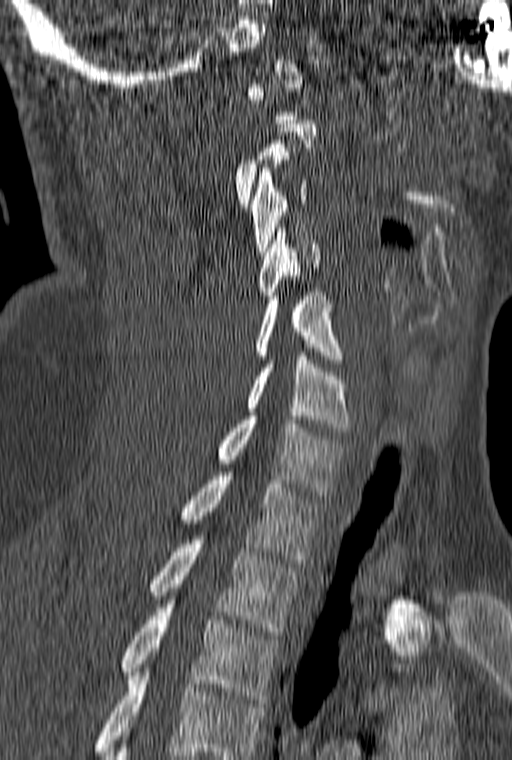

CT, spine — sagittal view — image 160 mm wide

Each row gives a vertebra's box as x1, y1, x2, y2 in pixels: top-left corner, then bottom-right corner.
Not every vertebra on this slice has a box: a vertebra is boxed only from the first to the last slice where its cross-section is at least a third of its largest, and this slice is outside that range for at least one of them.
This scan's labels start at C1 at the top and end at T3 at the bottom.
| vertebra | x1 | y1 | x2 | y2 |
|---|---|---|---|---|
| C3 | 250 | 168 | 310 | 255 |
| C4 | 258 | 228 | 320 | 299 |
| C5 | 255 | 292 | 343 | 363 |
| C6 | 246 | 352 | 349 | 431 |
| C7 | 219 | 416 | 346 | 495 |
| T1 | 180 | 472 | 326 | 563 |
| T2 | 148 | 540 | 298 | 635 |
| T3 | 120 | 604 | 279 | 703 |